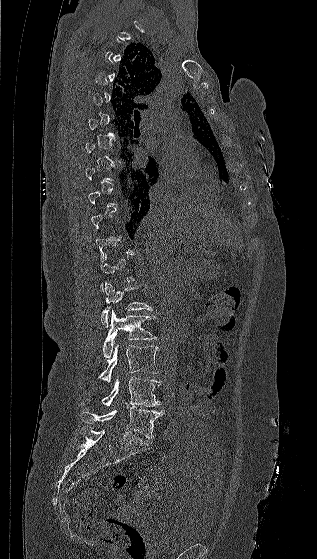

CT spine; sagittal view

Each row gives a vertebra's box as x1, y1, x2, y2 in pixels: top-left corner, then bottom-right corner.
A vertebra is boxed only from the first to the last slice where its cross-section is at least a third of its largest; slices outside that range leave it without a box.
| vertebra | x1 | y1 | x2 | y2 |
|---|---|---|---|---|
| L1 | 101 | 282 | 153 | 327 |
| L2 | 102 | 309 | 157 | 358 |
| L3 | 98 | 344 | 159 | 386 |
| L4 | 101 | 376 | 161 | 406 |
| L5 | 81 | 406 | 164 | 438 |